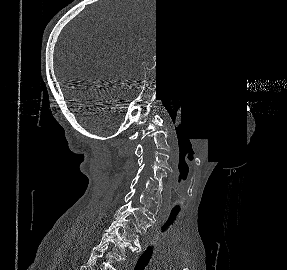 Computed tomography of the spine — 287 mm across the image — sagittal view — Bone window (WL 400, WW 1800) — 287x270 px — an area of the scan was removed and filled with constant pixels. Box edges are left/top/right/bottom in pixels.
This scan's labels start at C1 at the top and end at T2 at the bottom.
| vertebra | x1 | y1 | x2 | y2 |
|---|---|---|---|---|
| C1 | 129 | 115 | 162 | 139 |
| C2 | 134 | 130 | 169 | 156 |
| C3 | 138 | 151 | 172 | 171 |
| C4 | 137 | 164 | 166 | 188 |
| C5 | 130 | 175 | 162 | 203 |
| C6 | 124 | 189 | 159 | 220 |
| C7 | 114 | 201 | 155 | 230 |
| T1 | 105 | 212 | 141 | 248 |
| T2 | 93 | 227 | 140 | 259 |